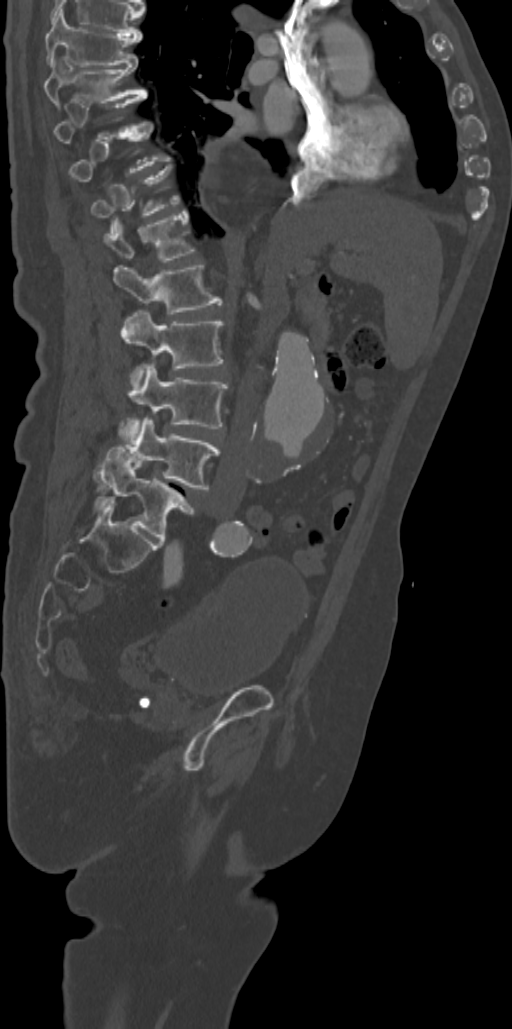

Computed tomography of the spine; image width 342 mm; sagittal view; 512x1029 px
Each vertebra is boxed only on the slices from the first to the last where its cross-section reaches a third of its largest, so a slice outside that range leaves it unboxed.
<vertebrae><v name="T7" x1="45" y1="9" x2="143" y2="66"/><v name="T8" x1="43" y1="58" x2="147" y2="107"/><v name="T9" x1="54" y1="94" x2="147" y2="143"/><v name="T11" x1="91" y1="166" x2="180" y2="217"/><v name="T12" x1="105" y1="209" x2="195" y2="262"/><v name="L1" x1="114" y1="265" x2="222" y2="314"/><v name="L2" x1="121" y1="310" x2="223" y2="385"/><v name="L3" x1="121" y1="364" x2="228" y2="442"/><v name="L4" x1="94" y1="418" x2="220" y2="489"/><v name="L5" x1="94" y1="447" x2="195" y2="540"/></vertebrae>